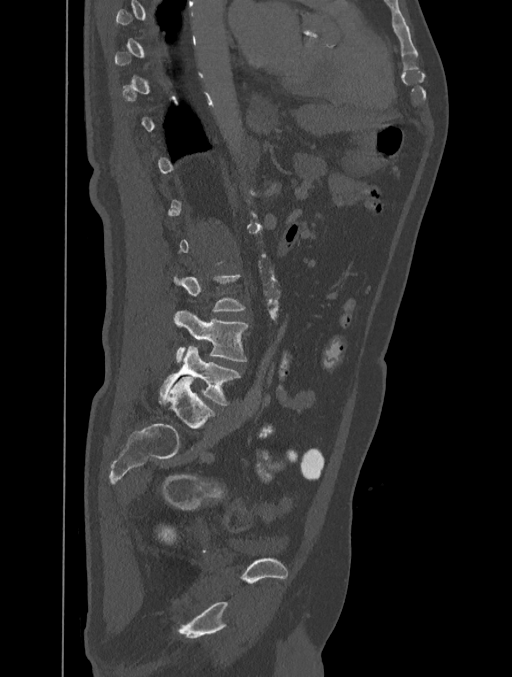

Spine CT. sagittal reformat. 512x677 px
Columns x1, y1, x2, y2 give each box's top-left and bottom-right pixels.
A vertebra is boxed only from the first to the last slice where its cross-section is at least a third of its largest; slices outside that range leave it without a box.
| vertebra | x1 | y1 | x2 | y2 |
|---|---|---|---|---|
| L5 | 159 | 346 | 240 | 405 |
| L4 | 175 | 309 | 248 | 363 |
| L3 | 172 | 275 | 245 | 310 |